Spine CT. Sagittal slice 253/417. Bone window (WL 400, WW 1800). 17 vertebrae labeled in this scan
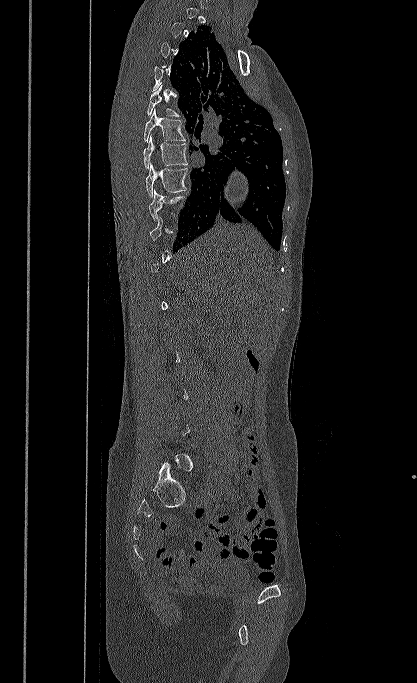
Each box is [x1, y1, x2, y2] in pixels: top-left corner, then bottom-right corner.
Not every vertebra on this slice has a box: a vertebra is boxed only from the first to the last slice where its cross-section is at least a third of its largest, and this slice is outside that range for at least one of them.
{"vertebrae":{"T9":[148,189,184,221],"T8":[145,163,190,197],"T7":[143,134,187,169],"T6":[144,109,186,142],"T5":[147,85,179,116]}}